Computed tomography of the spine. sagittal view. W/L 1800/400 HU
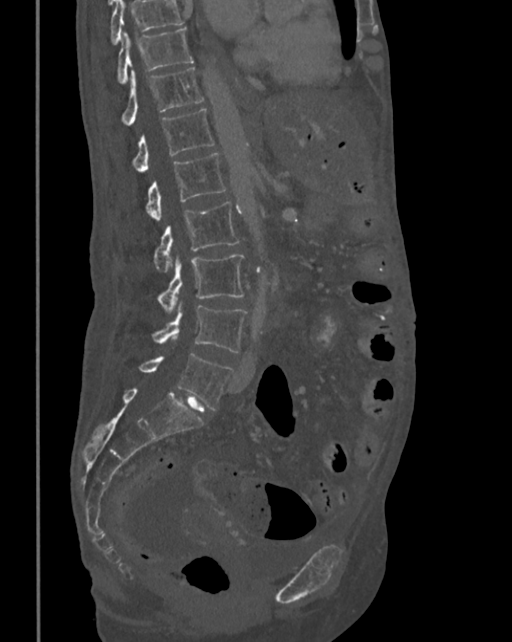

Boxes below are [x1, y1, x2, y2] in pixels.
Vertebrae that run past the top of the scan are left unlabeled.
{"vertebrae":{"T10":[117,28,192,83],"T11":[121,68,204,125],"T12":[133,108,214,173],"L1":[146,153,226,221],"L2":[154,201,240,271],"L3":[158,255,244,313],"L4":[152,302,246,353],"L5":[139,354,232,410]}}